CT, spine; sagittal reformat; 471 mm wide
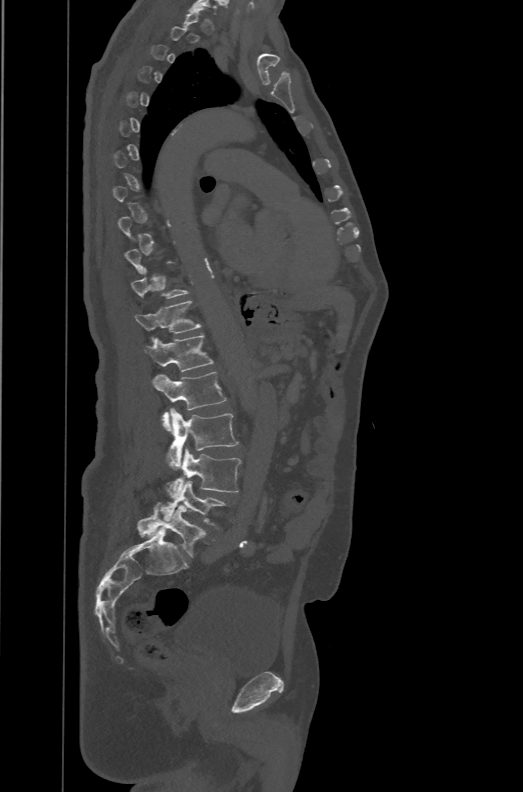
Each box is [x1, y1, x2, y2] in pixels: top-left corner, then bottom-right corner.
Not every vertebra on this slice has a box: a vertebra is boxed only from the first to the last slice where its cross-section is at least a third of its largest, and this slice is outside that range for at least one of them.
In these labels the spine has an L6, a sixth lumbar vertebra below L5.
{"vertebrae":{"T12":[134,301,201,339],"L1":[143,334,214,372],"L2":[152,372,227,431],"L3":[167,408,238,469],"L4":[166,447,241,499],"L5":[160,480,227,528],"L6":[137,502,214,557]}}